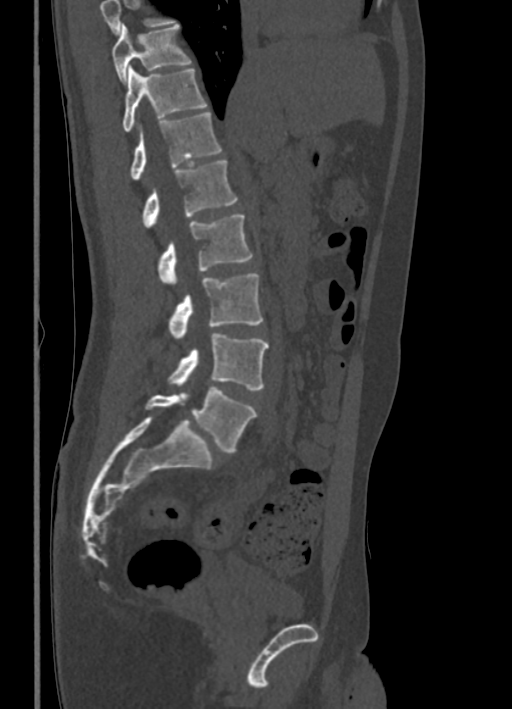

Computed tomography of the spine · sagittal view
Boxes below are [x1, y1, x2, y2] in pixels.
Vertebrae that run past the top of the scan are left unlabeled.
{"vertebrae":{"T10":[113,23,191,83],"T11":[123,67,206,132],"T12":[129,112,221,178],"L1":[142,160,237,227],"L2":[157,215,252,282],"L3":[167,273,262,337],"L4":[167,334,269,390],"L5":[145,387,256,451]}}